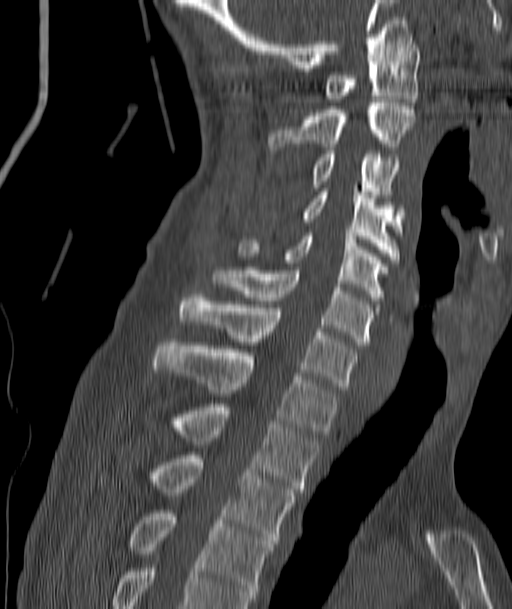

CT, spine · sagittal view
Box values are [left, top, right, bottom] in pixels.
{"vertebrae":{"T4":[127,510,274,601],"T3":[149,455,296,543],"T2":[171,404,317,492],"T1":[154,342,337,434],"C7":[179,294,356,389],"C6":[212,270,372,345],"C5":[239,233,386,300],"C4":[302,188,402,259],"C3":[313,151,400,194],"C2":[269,99,417,150],"C1":[327,41,419,102]}}